CT — sagittal plane, index 255 — bone-window reconstruction — 512x477 px
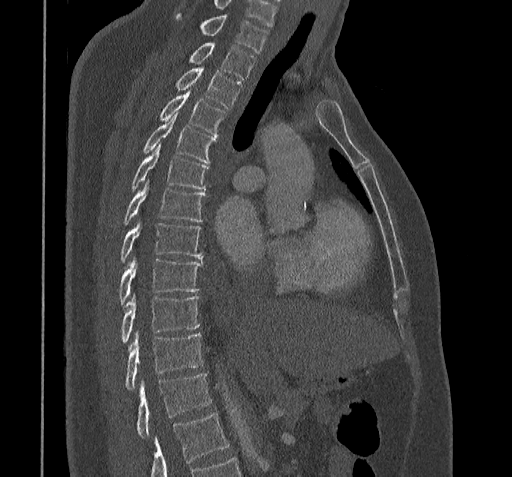

Boxes below are [x1, y1, x2, y2] in pixels.
A vertebra cut off by the bottom edge of the scan is not labeled and has no box.
{"vertebrae":{"C7":[176,14,267,52],"T1":[189,43,255,79],"T2":[176,67,240,108],"T3":[159,90,224,135],"T4":[143,113,215,162],"T5":[132,145,208,189],"T6":[124,180,204,224],"T7":[121,220,202,261],"T8":[119,258,202,305],"T9":[121,295,199,342],"T10":[125,332,202,388],"T11":[136,374,212,437]}}